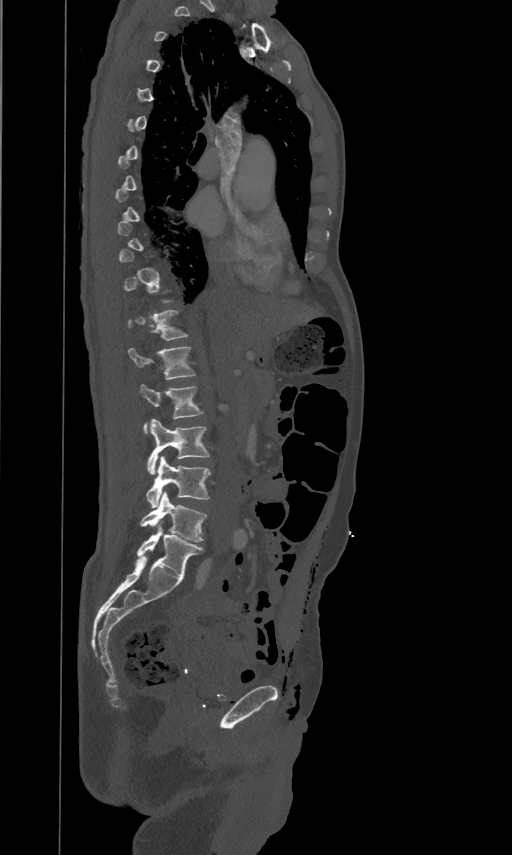

Computed tomography of the spine; sagittal view

Boxes: x1:y1:x2:y2 in pixels. A vertebra gets a box only on the slices from the first to the last where its cross-section is at least a third of its largest; on a slice outside that range it gets none. Vertebrae labeled: L5 at 141:492:205:542, L4 at 146:455:210:507, L3 at 147:419:209:474, L2 at 140:383:202:432, L1 at 129:345:194:379, T12 at 127:310:187:339.